Spine computed tomography · sagittal view · bone window
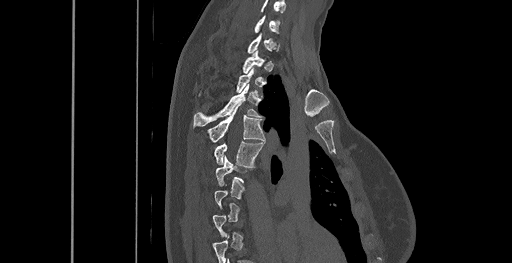
Boxes are given in columns x1, y1, x2, y2, the pixel coordinates of their top-left and bottom-right corners.
Not every vertebra on this slice has a box: a vertebra is boxed only from the first to the last slice where its cross-section is at least a third of its largest, and this slice is outside that range for at least one of them.
Labels in this scan begin with C6 at the top and end with T8 at the bottom.
| vertebra | x1 | y1 | x2 | y2 |
|---|---|---|---|---|
| T5 | 214 | 141 | 263 | 166 |
| T4 | 207 | 108 | 264 | 142 |
| T3 | 193 | 84 | 261 | 126 |
| C7 | 248 | 33 | 276 | 53 |
| C6 | 254 | 15 | 280 | 32 |